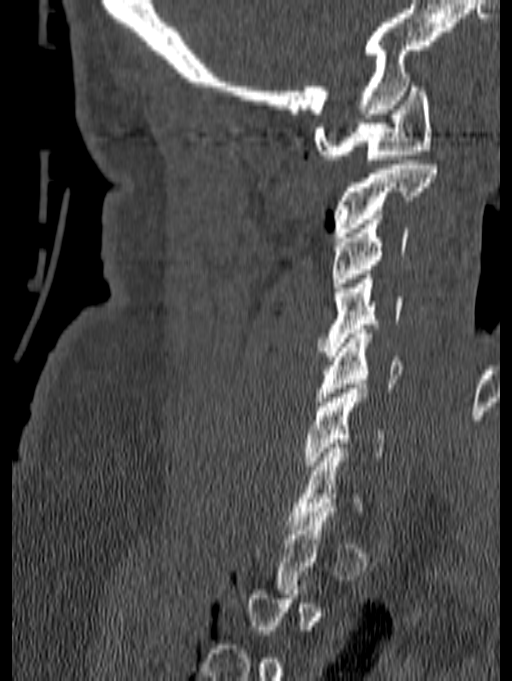
Computed tomography of the spine; sagittal view; 140 mm wide; W/L 1800/400 HU; 512x681 px. Boxes are (x1, y1, x2, y2) in pixels.
Each vertebra is boxed only on the slices from the first to the last where its cross-section reaches a third of its largest, so a slice outside that range leaves it unboxed.
C1: (313, 82, 432, 159)
C2: (333, 160, 436, 237)
C3: (331, 219, 409, 287)
C4: (318, 274, 403, 356)
C5: (316, 329, 403, 406)
C6: (305, 384, 385, 470)